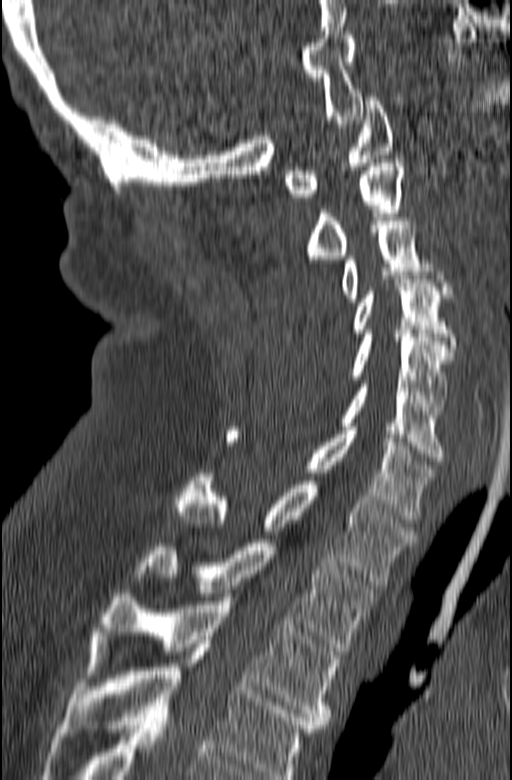
Spine CT — the image is 165 mm wide — sagittal view — W/L 1800/400 HU
Box edges are left/top/right/bottom in pixels.
In this scan, the topmost labeled vertebra is C1 and the lowest is T3.
| vertebra | x1 | y1 | x2 | y2 |
|---|---|---|---|---|
| C1 | 283 | 97 | 394 | 197 |
| C2 | 305 | 159 | 403 | 259 |
| C3 | 342 | 217 | 451 | 302 |
| C4 | 352 | 279 | 456 | 356 |
| C5 | 349 | 334 | 453 | 414 |
| C6 | 339 | 380 | 444 | 461 |
| C7 | 228 | 427 | 435 | 523 |
| T1 | 175 | 473 | 416 | 585 |
| T2 | 136 | 539 | 377 | 651 |
| T3 | 85 | 593 | 339 | 728 |